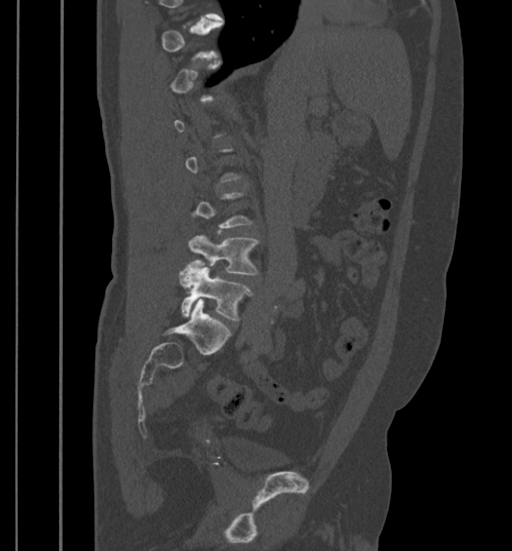 CT spine. sagittal view. W/L 1800/400 HU. image width 399 mm
Coordinates as <box>x1,y1,x2,y2</box>.
A vertebra gets a box only on the slices from the first to the last where its cross-section is at least a third of its largest; on a slice outside that range it gets none.
Vertebra bounding boxes:
- L4: <box>188,234,258,274</box>
- L5: <box>180,260,253,320</box>